CT spine; sagittal plane, index 274; Bone window (WL 400, WW 1800)
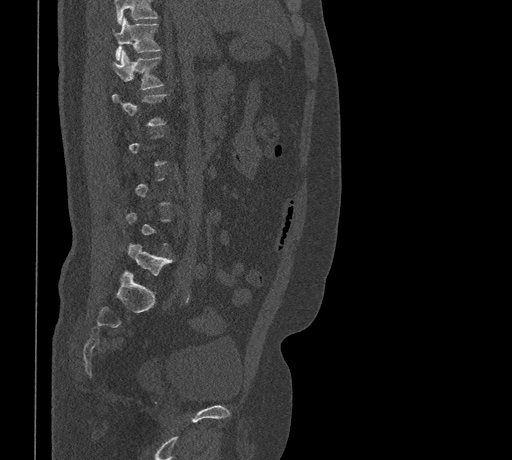 Boxes: x1 y1 x2 y2 (pixel coords, space-separated). A vertebra gets a box only on the slices from the first to the last where its cross-section is at least a third of its largest; on a slice outside that range it gets none. A vertebra cut off by the top edge of the scan is not labeled and has no box. The labeled vertebrae in this slice are: T11 at 113 18 161 60, T12 at 112 51 163 89, L5 at 128 243 172 276.